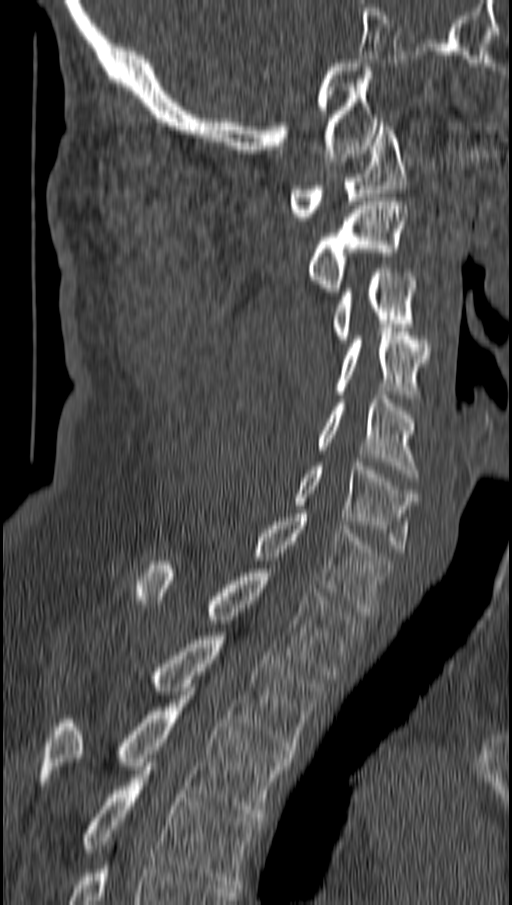
CT spine · sagittal view
Boxes below are [x1, y1, x2, y2] in pixels.
{"vertebrae":{"C1":[290,122,405,220],"C2":[308,201,408,295],"C3":[333,269,414,343],"C4":[336,328,429,394],"C5":[317,395,417,477],"C6":[295,458,414,552],"C7":[254,514,389,615],"T1":[137,561,360,675],"T2":[153,636,322,754],"T3":[42,691,291,817],"T4":[83,762,259,888]}}